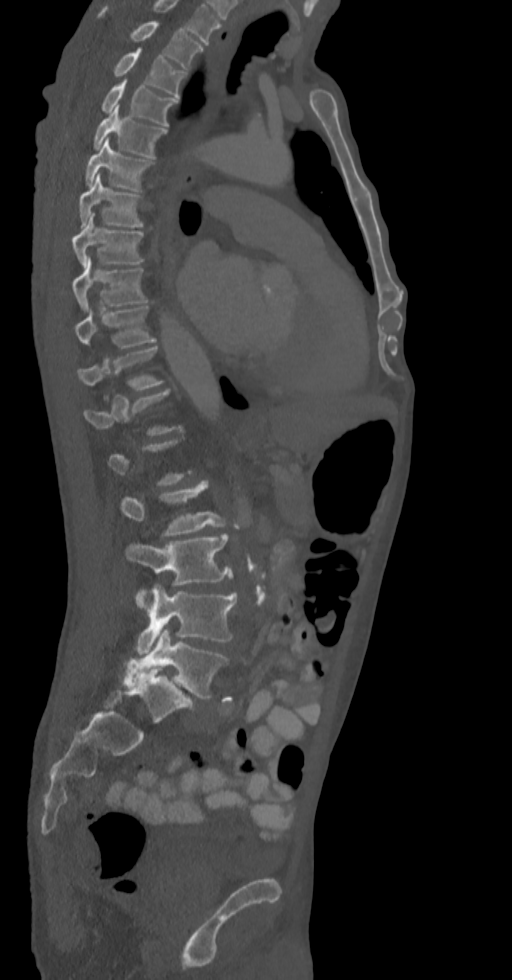 CT spine · sagittal view · 512x980 px
Each box given as x1,y1,x2,y2.
Each vertebra is boxed only on the slices from the first to the last where its cross-section reaches a third of its largest, so a slice outside that range leaves it unboxed.
Vertebra bounding boxes:
- L5: x1=123, y1=629, x2=229, y2=698
- L4: x1=135, y1=584, x2=236, y2=654
- L3: x1=125, y1=533, x2=232, y2=586
- L2: x1=120, y1=480, x2=227, y2=535
- T11: x1=77, y1=346, x2=163, y2=391
- T10: x1=74, y1=306, x2=156, y2=348
- T9: x1=73, y1=256, x2=147, y2=311
- T8: x1=71, y1=213, x2=143, y2=267
- T7: x1=79, y1=174, x2=143, y2=228
- T6: x1=85, y1=139, x2=153, y2=191
- T5: x1=93, y1=105, x2=166, y2=157
- T4: x1=100, y1=79, x2=177, y2=125
- T3: x1=112, y1=47, x2=185, y2=98
- T2: x1=99, y1=9, x2=203, y2=69